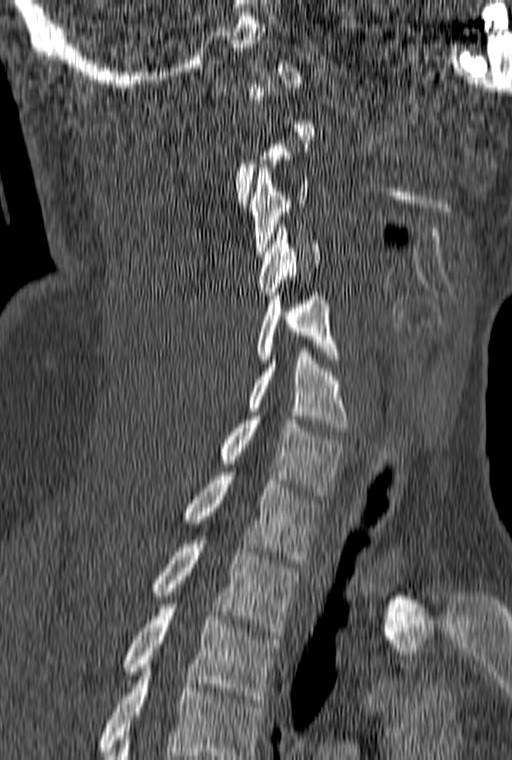 Computed tomography of the spine. sagittal reformat. W/L 1800/400 HU. Bounding boxes as [x1, y1, x2, y2] in pixel coordinates.
A vertebra is boxed only from the first to the last slice where its cross-section is at least a third of its largest; slices outside that range leave it without a box.
This scan's labels start at C1 at the top and end at T3 at the bottom.
Vertebra bounding boxes:
- C3: [249, 168, 309, 255]
- C4: [258, 224, 320, 295]
- C5: [257, 292, 341, 363]
- C6: [248, 348, 349, 431]
- C7: [219, 416, 346, 495]
- T1: [184, 472, 323, 563]
- T2: [152, 540, 298, 635]
- T3: [123, 604, 279, 703]